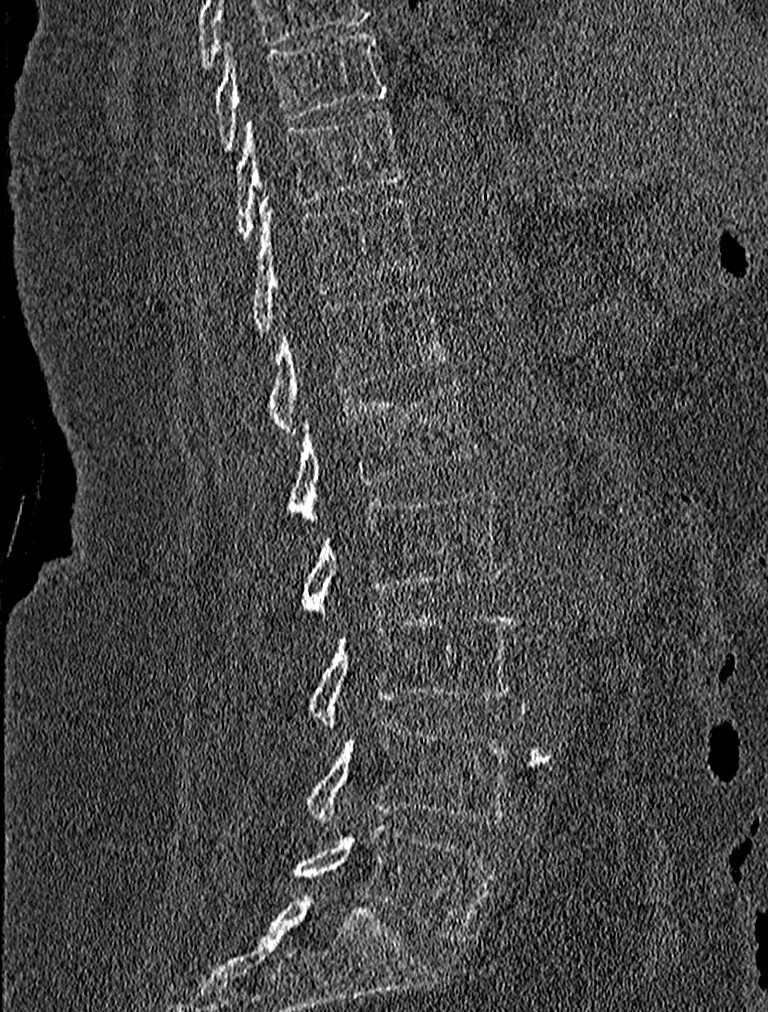
CT, spine · sagittal view · W/L 1800/400 HU · the image is 227 mm wide
Boxes are (x1, y1, x2, y2) in pixels.
Vertebra bounding boxes:
- T9: (215, 30, 387, 148)
- T10: (236, 111, 404, 237)
- T11: (249, 193, 417, 332)
- T12: (268, 288, 448, 433)
- L1: (290, 376, 478, 526)
- L2: (303, 487, 502, 617)
- L3: (310, 611, 515, 731)
- L4: (307, 719, 513, 827)
- L5: (293, 824, 495, 941)